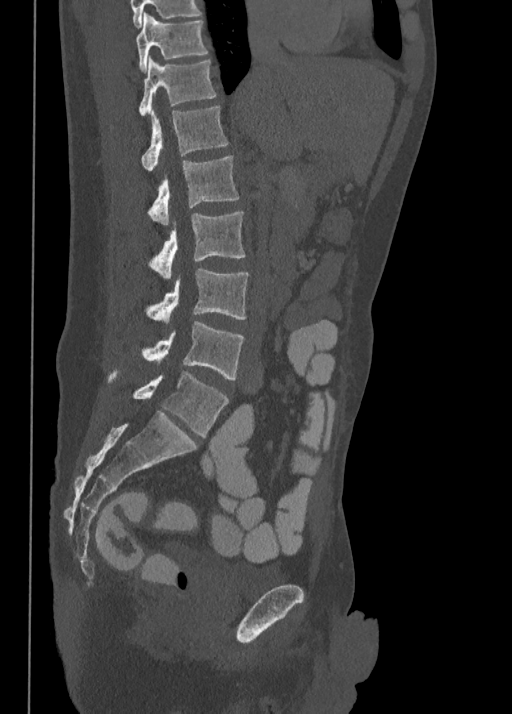 CT spine · sagittal view
Boxes are (x1, y1, x2, y2) in pixels.
L5: (108, 371, 228, 436)
L4: (142, 321, 245, 379)
L3: (145, 269, 249, 322)
L2: (148, 212, 245, 278)
L1: (148, 155, 240, 225)
T12: (142, 107, 228, 170)
T11: (139, 57, 217, 115)
T10: (136, 13, 208, 73)